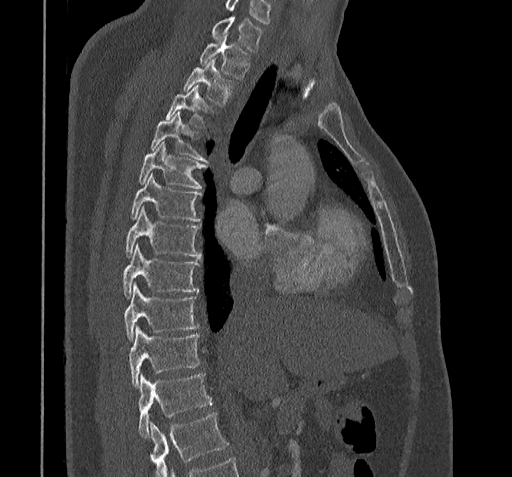

Spine CT — sagittal view

Boxes: x1:y1:x2:y2 in pixels.
Vertebrae that run past the bottom of the scan are left unlabeled.
Labels in this scan begin with C7 at the top and end with T11 at the bottom.
C7: 211:16:261:51
T1: 200:34:248:78
T2: 184:59:231:103
T3: 165:86:207:126
T4: 150:113:205:161
T5: 139:142:208:188
T6: 131:175:201:221
T7: 125:206:201:258
T8: 122:245:197:298
T9: 124:282:199:341
T10: 128:326:199:387
T11: 138:374:212:437